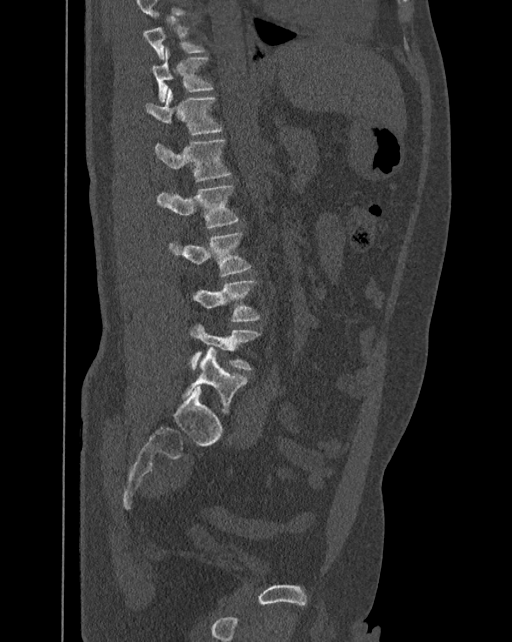 CT. sagittal reformat. W/L 1800/400 HU. 512x642 px
Each row gives a vertebra's box as x1, y1, x2, y2 in pixels: top-left corner, then bottom-right corner.
Each vertebra is boxed only on the slices from the first to the last where its cross-section reaches a third of its largest, so a slice outside that range leaves it unboxed.
These labels give the spine a sixth lumbar vertebra, L6, below L5.
| vertebra | x1 | y1 | x2 | y2 |
|---|---|---|---|---|
| T11 | 151 | 47 | 213 | 101 |
| T12 | 146 | 89 | 222 | 134 |
| L1 | 154 | 139 | 230 | 181 |
| L2 | 157 | 185 | 238 | 228 |
| L3 | 170 | 232 | 250 | 276 |
| L4 | 194 | 280 | 259 | 321 |
| L5 | 189 | 324 | 259 | 369 |
| L6 | 182 | 347 | 247 | 410 |